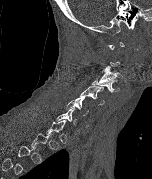 CT, spine · sagittal view · 152x179 px
Each row gives a vertebra's box as x1, y1, x2, y2 in pixels: top-left corner, then bottom-right corner.
A vertebra is boxed only from the first to the last slice where its cross-section is at least a third of its largest; slices outside that range leave it without a box.
| vertebra | x1 | y1 | x2 | y2 |
|---|---|---|---|---|
| C3 | 98 | 65 | 122 | 83 |
| C4 | 92 | 77 | 119 | 93 |
| C5 | 79 | 86 | 104 | 105 |
| C6 | 65 | 97 | 88 | 115 |